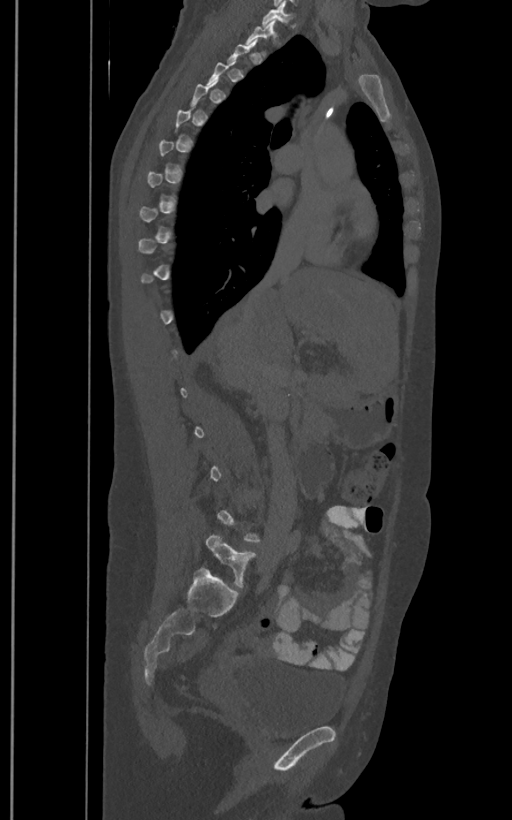 CT spine; sagittal view; the image is 400 mm wide
Coordinates as <box>x1,y1,x2,y2</box>.
A vertebra is boxed only from the first to the last slice where its cross-section is at least a third of its largest; slices outside that range leave it without a box.
These labels give the spine a sixth lumbar vertebra, L6, below L5.
Vertebra bounding boxes:
- T1: <box>262,6,292,25</box>
- T2: <box>246,18,277,55</box>
- L6: <box>206,533,256,588</box>